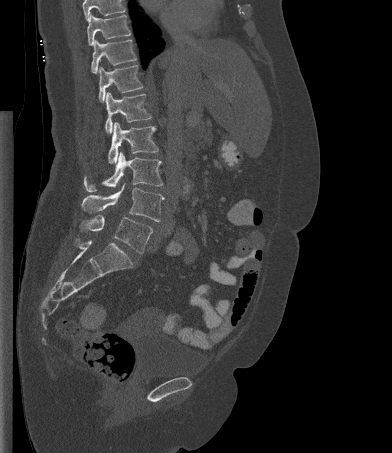 CT spine — sagittal reformat — bone window. Boxes are (x1, y1, x2, y2) in pixels.
A vertebra cut off by the top edge of the scan is not labeled and has no box.
Vertebra bounding boxes:
- L5: (79, 215, 152, 253)
- L4: (81, 183, 164, 221)
- L3: (84, 151, 163, 192)
- L2: (108, 122, 158, 163)
- L1: (105, 92, 151, 133)
- T12: (99, 65, 143, 102)
- T11: (91, 40, 136, 73)
- T10: (87, 14, 131, 45)